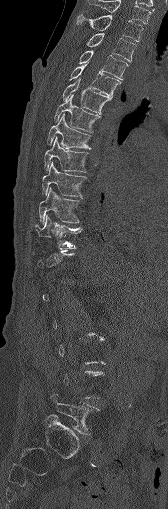 Computed tomography of the spine. sagittal view. Box edges are left/top/right/bottom in pixels.
A vertebra is boxed only from the first to the last slice where its cross-section is at least a third of its largest; slices outside that range leave it without a box.
C7: left=87, top=0, right=151, bottom=24
T1: left=77, top=14, right=143, bottom=41
T2: left=86, top=33, right=136, bottom=61
T3: left=79, top=50, right=127, bottom=79
T4: left=70, top=65, right=119, bottom=98
T5: left=62, top=79, right=111, bottom=114
T6: left=54, top=95, right=100, bottom=132
T7: left=47, top=114, right=90, bottom=148
T8: left=44, top=136, right=88, bottom=172
T9: left=42, top=162, right=85, bottom=196
T10: left=38, top=187, right=79, bottom=223
T11: left=35, top=215, right=81, bottom=251
L5: left=51, top=394, right=99, bottom=434